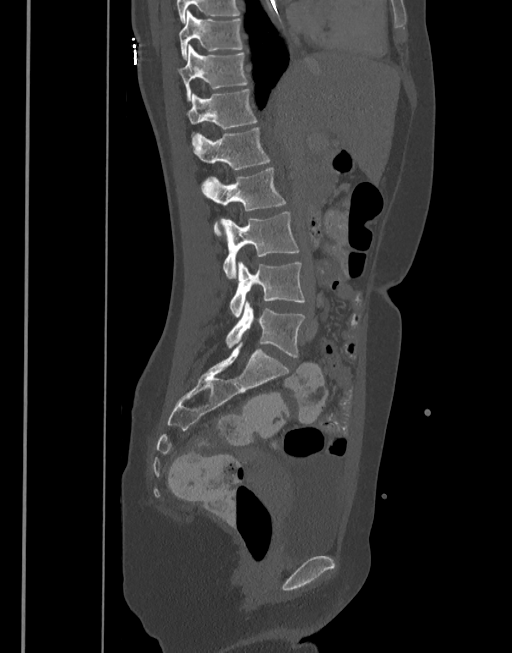 CT, spine · sagittal view · W/L 1800/400 HU
Each vertebra maps to its box as [x1, y1, x2, y2], the pixel coordinates of its top-left and bottom-right corners.
{"vertebrae":{"L5":[225,302,306,357],"L4":[229,262,304,317],"L3":[220,211,300,279],"L2":[202,167,287,236],"L1":[193,127,270,170],"T12":[187,89,257,138],"T11":[177,44,247,100],"T10":[179,10,243,60]}}